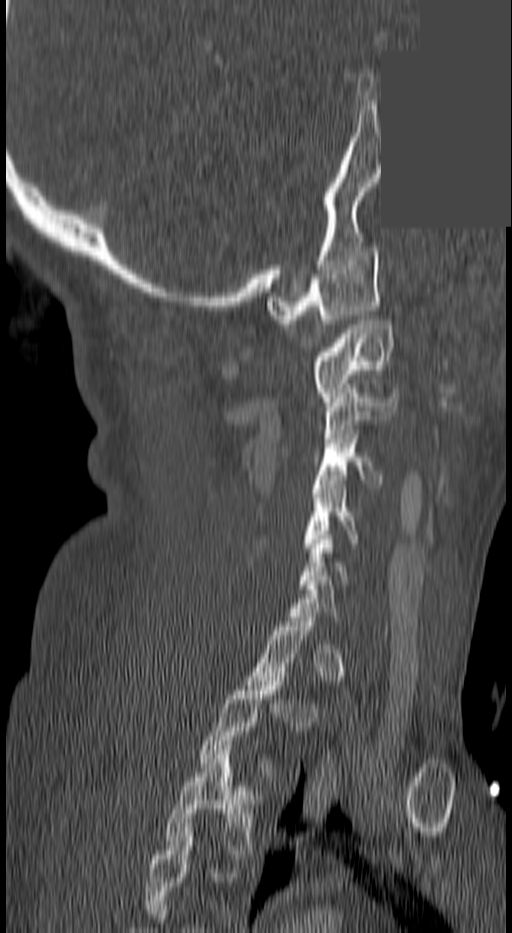
CT, spine. 140 mm image width. sagittal view. an area of the scan was removed and filled with constant pixels
Not every vertebra on this slice has a box: a vertebra is boxed only from the first to the last slice where its cross-section is at least a third of its largest, and this slice is outside that range for at least one of them.
In this scan, the topmost labeled vertebra is C1 and the lowest is T3.
<vertebrae><v name="C1" x1="267" y1="247" x2="381" y2="324"/><v name="C2" x1="309" y1="320" x2="392" y2="401"/><v name="C3" x1="325" y1="389" x2="398" y2="438"/><v name="C4" x1="312" y1="434" x2="384" y2="488"/><v name="C5" x1="300" y1="485" x2="359" y2="552"/><v name="C6" x1="298" y1="535" x2="348" y2="589"/><v name="T2" x1="195" y1="677" x2="284" y2="781"/><v name="T3" x1="162" y1="745" x2="264" y2="858"/></vertebrae>